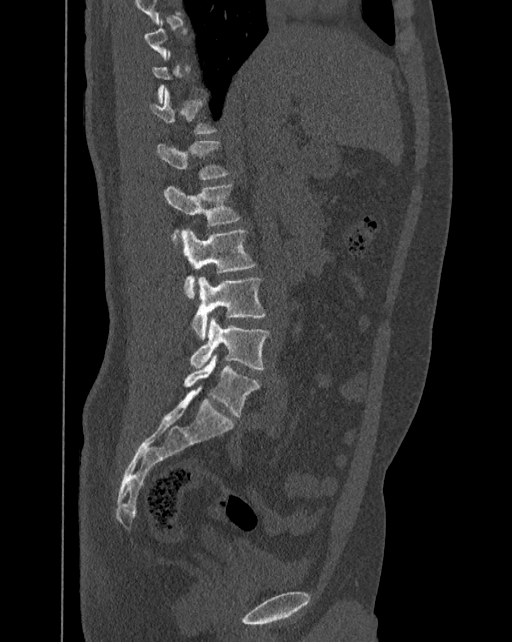 Spine CT · 392 mm wide · sagittal view
Bounding boxes as [x1, y1, x2, y2] in pixel coordinates. Each vertebra is boxed only on the slices from the first to the last where its cross-section reaches a third of its largest, so a slice outside that range leaves it unboxed. These labels give the spine a sixth lumbar vertebra, L6, below L5. 7 vertebrae labeled — T12 at [149, 87, 214, 133]; L1 at [155, 140, 229, 180]; L2 at [163, 185, 239, 226]; L3 at [180, 228, 255, 298]; L4 at [192, 276, 265, 340]; L5 at [191, 316, 268, 369]; L6 at [184, 354, 259, 416].